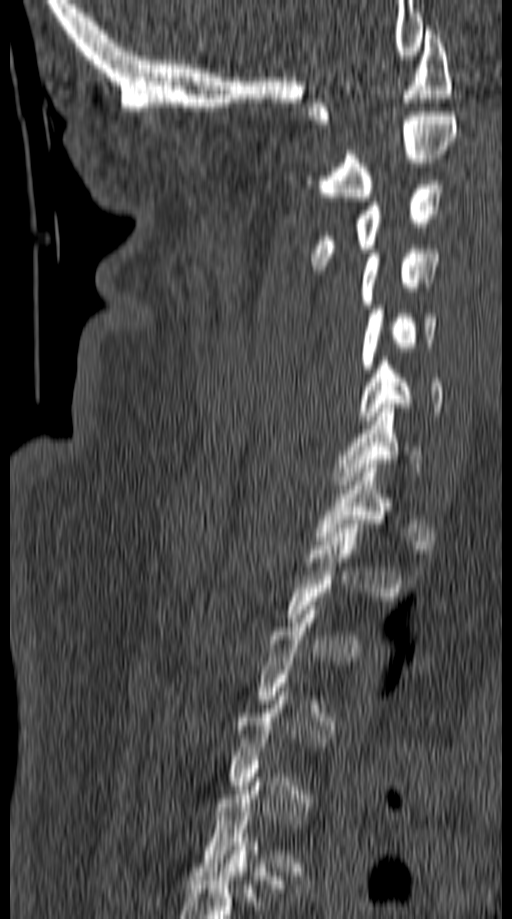
Spine CT. sagittal reformat. 512x919 px

Each box given as x1,y1,x2,y2.
Each vertebra is boxed only on the slices from the first to the last where its cross-section reaches a third of its largest, so a slice outside that range leaves it unboxed.
C1: x1=307, y1=26, x2=453, y2=124
C2: x1=303, y1=112, x2=457, y2=201
C3: x1=310, y1=180, x2=443, y2=270
C4: x1=360, y1=249, x2=440, y2=308
C5: x1=359, y1=309, x2=437, y2=373
C6: x1=358, y1=361, x2=443, y2=424
C7: x1=335, y1=404, x2=423, y2=489